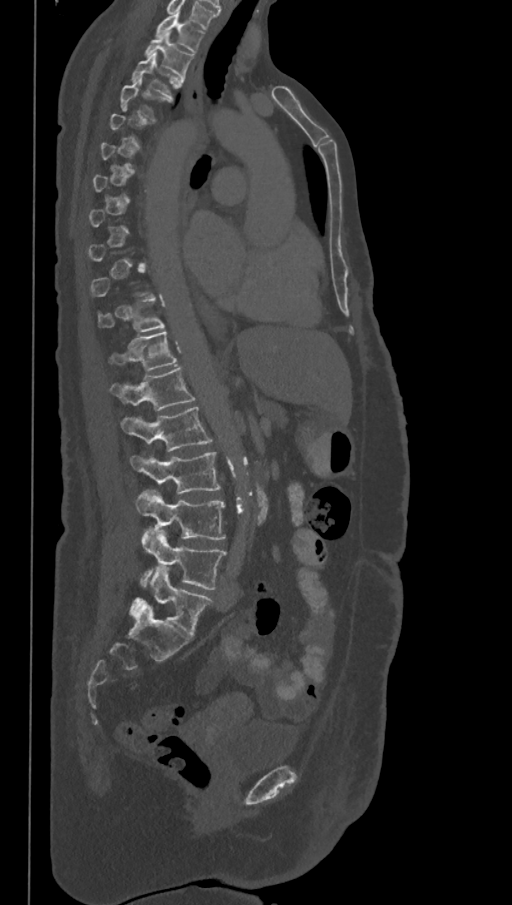
Spine CT. sagittal view. image 368 mm wide. Bone window (WL 400, WW 1800). 512x905 px. Boxes: x1:y1:x2:y2 in pixels. Each vertebra is boxed only on the slices from the first to the last where its cross-section reaches a third of its largest, so a slice outside that range leaves it unboxed. These labels give the spine a sixth lumbar vertebra, L6, below L5. 11 vertebrae labeled — T1 at 156:13:203:52; T2 at 144:31:194:77; T3 at 131:54:184:97; T11 at 97:299:164:332; T12 at 110:331:177:370; L1 at 110:367:196:411; L2 at 121:407:212:451; L3 at 131:452:221:492; L4 at 136:490:226:540; L5 at 140:528:226:589; L6 at 133:566:212:638.